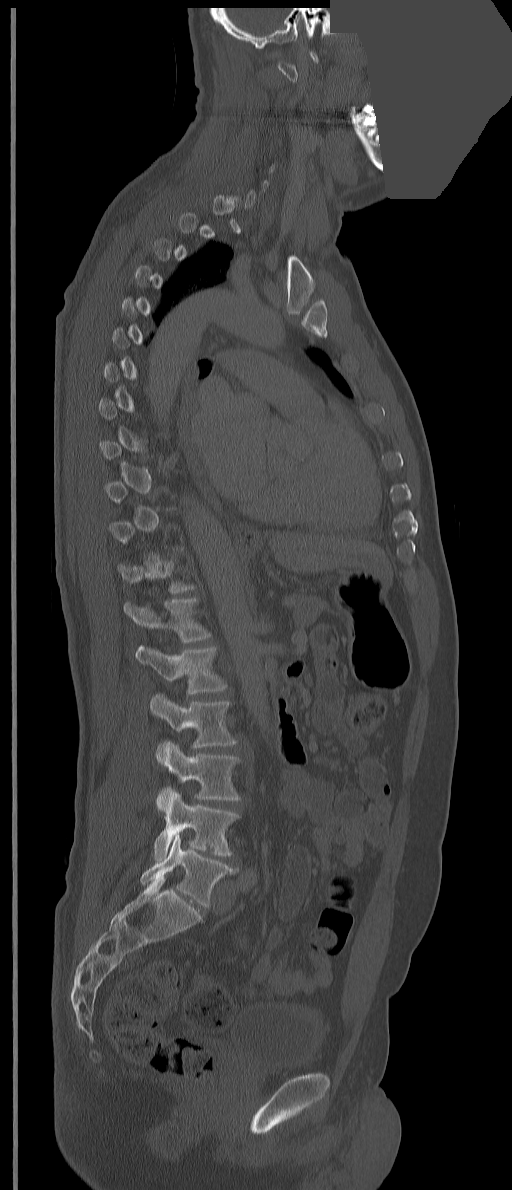
Computed tomography of the spine — sagittal view — part of the image has been replaced by a constant value
Each vertebra is boxed only on the slices from the first to the last where its cross-section reaches a third of its largest, so a slice outside that range leaves it unboxed.
These labels give the spine a thirteenth thoracic vertebra: T13 sits between T12 and L1.
<vertebrae><v name="T13" x1="124" y1="598" x2="211" y2="642"/><v name="L1" x1="135" y1="645" x2="227" y2="695"/><v name="L2" x1="150" y1="693" x2="237" y2="747"/><v name="L3" x1="156" y1="741" x2="240" y2="810"/><v name="L4" x1="153" y1="791" x2="238" y2="860"/><v name="L5" x1="140" y1="834" x2="238" y2="908"/></vertebrae>